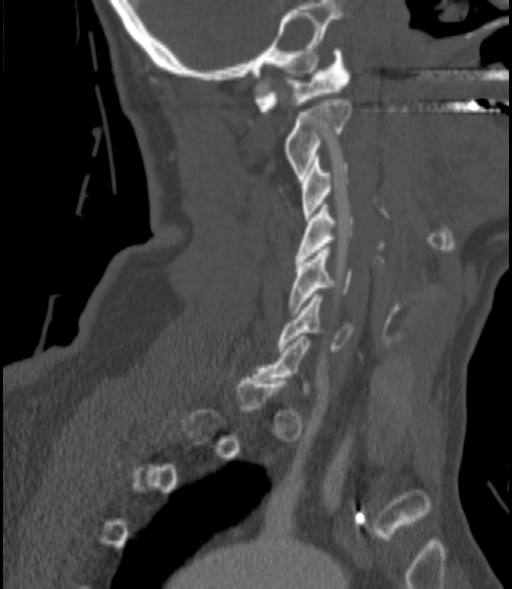

Spine CT; sagittal view; bone-window reconstruction; 512x589 px
Each box is [x1, y1, x2, y2] in pixels: top-left corner, then bottom-right corner.
A vertebra gets a box only on the slices from the first to the last where its cross-section is at least a third of its largest; on a slice outside that range it gets none.
{"vertebrae":{"C1":[255,48,350,111],"C2":[285,99,351,178],"C3":[303,157,348,220],"C4":[295,205,353,261],"C5":[290,246,352,313],"C6":[277,294,354,351]}}